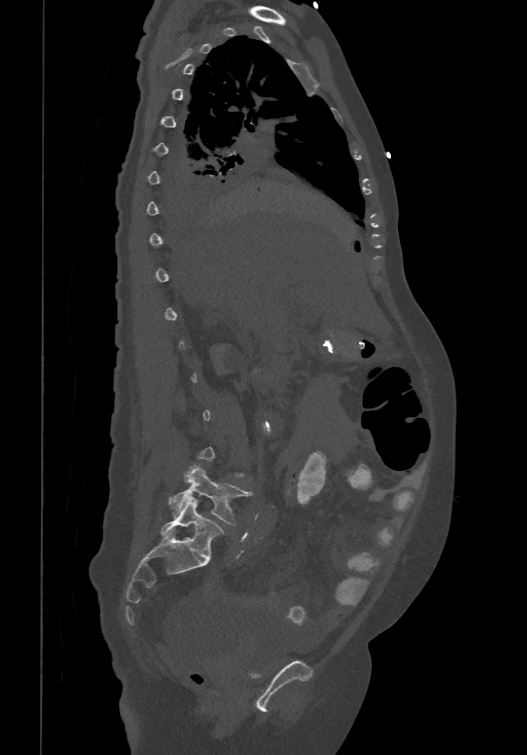 CT — sagittal view — the image spans 474 mm across. Each box given as x1,y1,x2,y2. A vertebra gets a box only on the slices from the first to the last where its cross-section is at least a third of its largest; on a slice outside that range it gets none. In these labels the spine has an L6, a sixth lumbar vertebra below L5. 2 vertebrae labeled — L6 at x1=160, y1=496, x2=224, y2=558; L5 at x1=169, y1=465, x2=250, y2=525.